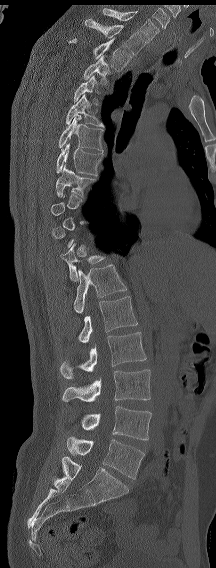 Spine CT · sagittal reformat · W/L 1800/400 HU
Boxes are given in columns x1, y1, x2, y2, the pixel coordinates of their top-left and bottom-right corners.
A vertebra gets a box only on the slices from the first to the last where its cross-section is at least a third of its largest; on a slice outside that range it gets none.
The labels name a sixth lumbar vertebra for this spine: L6, after L5.
| vertebra | x1 | y1 | x2 | y2 |
|---|---|---|---|---|
| C7 | 103 | 8 | 159 | 40 |
| T1 | 85 | 18 | 147 | 55 |
| T2 | 68 | 38 | 131 | 71 |
| T3 | 83 | 55 | 111 | 85 |
| T4 | 74 | 75 | 98 | 104 |
| T5 | 66 | 94 | 104 | 127 |
| T6 | 58 | 115 | 103 | 151 |
| T7 | 56 | 142 | 103 | 175 |
| T8 | 55 | 164 | 94 | 197 |
| T12 | 61 | 242 | 106 | 281 |
| L1 | 73 | 264 | 127 | 313 |
| L2 | 78 | 296 | 137 | 343 |
| L3 | 60 | 332 | 146 | 378 |
| L4 | 62 | 369 | 150 | 402 |
| L5 | 81 | 406 | 151 | 440 |
| L6 | 67 | 436 | 144 | 479 |